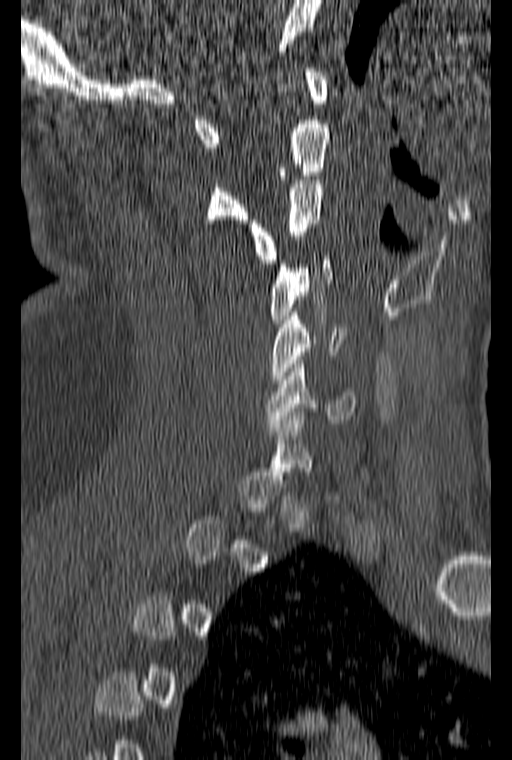
CT spine. sagittal view
Columns x1, y1, x2, y2 give each box's top-left and bottom-right pixels.
A vertebra gets a box only on the slices from the first to the last where its cross-section is at least a third of its largest; on a slice outside that range it gets none.
| vertebra | x1 | y1 | x2 | y2 |
|---|---|---|---|---|
| C1 | 193 | 68 | 328 | 147 |
| C2 | 205 | 88 | 330 | 223 |
| C3 | 248 | 176 | 324 | 263 |
| C4 | 270 | 256 | 333 | 323 |
| C5 | 270 | 312 | 346 | 383 |
| C6 | 266 | 356 | 357 | 427 |